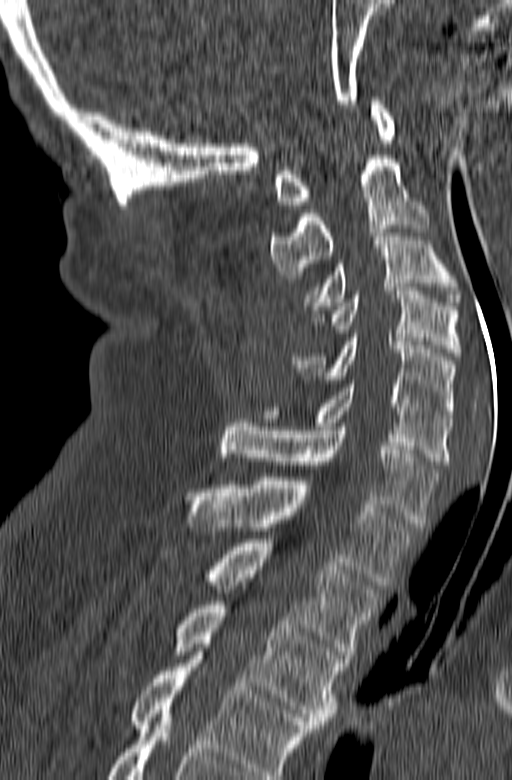 CT; sagittal view; bone-window reconstruction

Each vertebra maps to its box as [x1, y1, x2, y2], the pixel coordinates of its top-left and bottom-right corners.
This scan's labels start at C1 at the top and end at T3 at the bottom.
{"vertebrae":{"C1":[274,97,394,205],"C2":[270,155,429,278],"C3":[308,229,461,309],"C4":[314,287,462,356],"C5":[291,334,457,418],"C6":[263,380,452,464],"C7":[218,419,438,527],"T1":[185,477,416,585],"T2":[161,539,379,658],"T3":[172,601,344,728]}}